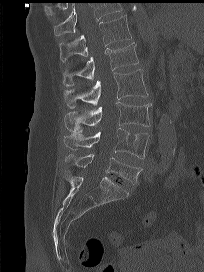
CT spine · sagittal reformat · 204 mm wide
Where the top of the scan cuts through a vertebra, that vertebra gets no label or box.
<vertebrae><v name="T12" x1="59" y1="15" x2="131" y2="61"/><v name="L1" x1="62" y1="42" x2="138" y2="86"/><v name="L2" x1="63" y1="69" x2="148" y2="108"/><v name="L3" x1="64" y1="102" x2="151" y2="132"/><v name="L4" x1="63" y1="128" x2="149" y2="158"/><v name="L5" x1="65" y1="154" x2="142" y2="185"/></vertebrae>